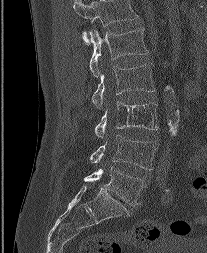 CT spine; 207 mm wide; sagittal view
Each vertebra maps to its box as [x1, y1, x2, y2], the pixel coordinates of its top-left and bottom-right corners.
Labels in this scan begin with L1 at the top and end with L5 at the bottom.
{"vertebrae":{"L1":[89,27,148,76],"L2":[92,63,154,108],"L3":[94,102,158,138],"L4":[90,134,158,169],"L5":[84,167,144,205]}}